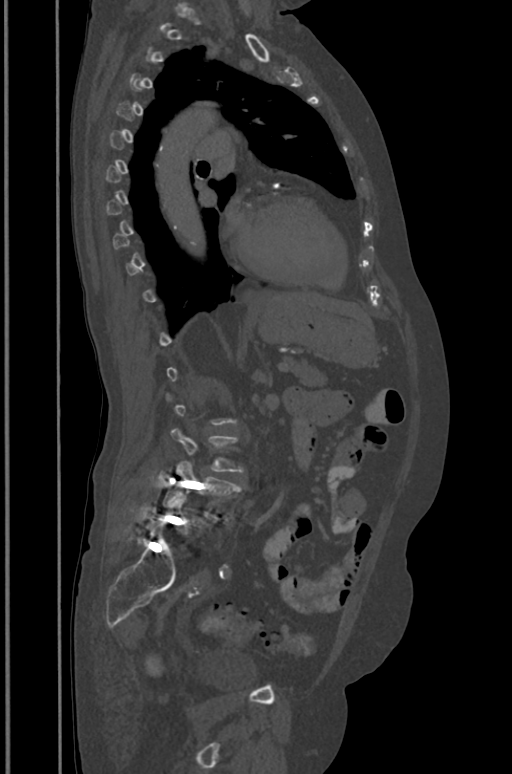

CT, spine. sagittal reformat
Boxes are (x1, y1, x2, y2) in pixels.
Not every vertebra on this slice has a box: a vertebra is boxed only from the first to the last slice where its cross-section is at least a third of its largest, and this slice is outside that range for at least one of them.
L3: (172, 428, 243, 472)
L4: (162, 462, 239, 516)
L5: (157, 495, 205, 533)